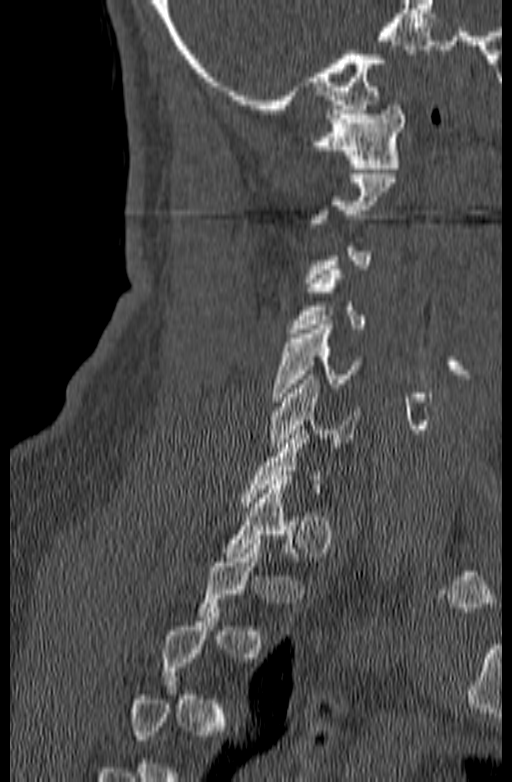 Computed tomography of the spine; sagittal view; 512x782 px; 140 mm across the image
Each vertebra is boxed only on the slices from the first to the last where its cross-section reaches a third of its largest, so a slice outside that range leaves it unboxed.
<vertebrae><v name="C6" x1="268" y1="375" x2="359" y2="452"/><v name="C5" x1="272" y1="325" x2="362" y2="401"/><v name="C4" x1="287" y1="265" x2="365" y2="333"/><v name="C1" x1="310" y1="105" x2="405" y2="168"/></vertebrae>